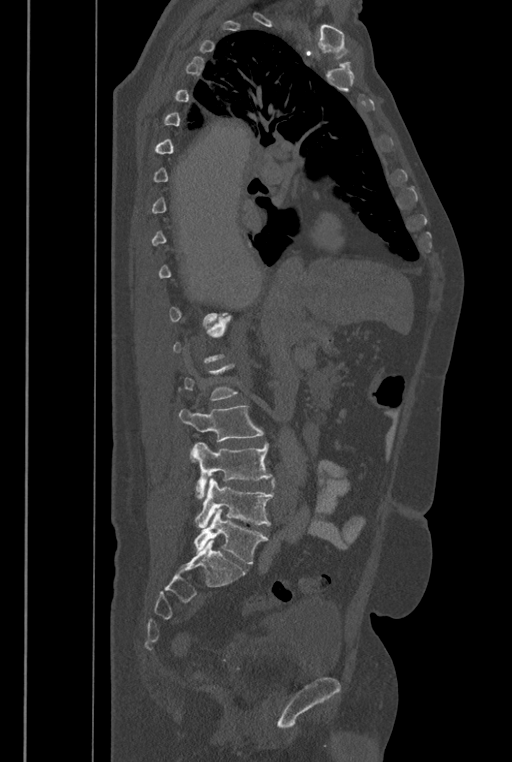
CT spine. sagittal view. 446 mm image width
Box edges are left/top/right/bottom in pixels. Each vertebra is boxed only on the slices from the first to the last where its cross-section reaches a third of its largest, so a slice outside that range leaves it unboxed. These labels give the spine a sixth lumbar vertebra, L6, below L5. The labeled vertebrae in this slice are: L6 at left=194, top=508, right=268, bottom=564, L5 at left=194, top=477, right=274, bottom=527, L4 at left=192, top=442, right=272, bottom=499, L3 at left=179, top=405, right=263, bottom=441.